CT, spine. sagittal view
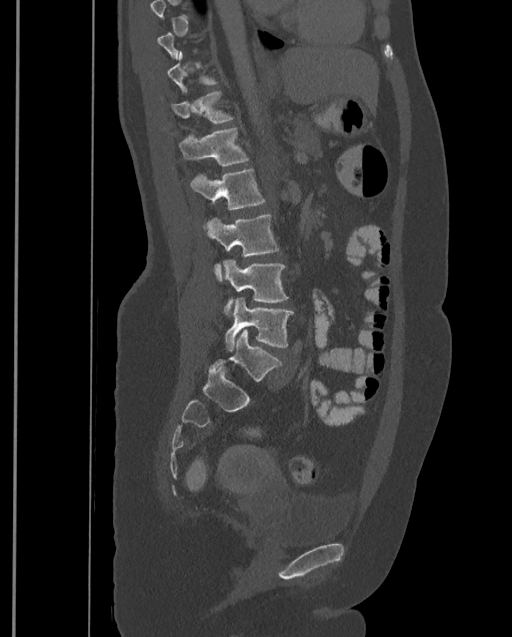
Boxes: x1:y1:x2:y2 in pixels.
A vertebra gets a box only on the slices from the first to the last where its cross-section is at least a third of its largest; on a slice outside that range it gets none.
In this scan, the topmost labeled vertebra is T9 and the lowest is L4.
L4: 224:298:294:350
L3: 223:259:288:317
L2: 206:214:279:281
L1: 191:170:264:227
T12: 178:127:249:165
T11: 171:91:234:124